CT · sagittal plane, index 252 · 556x855 px
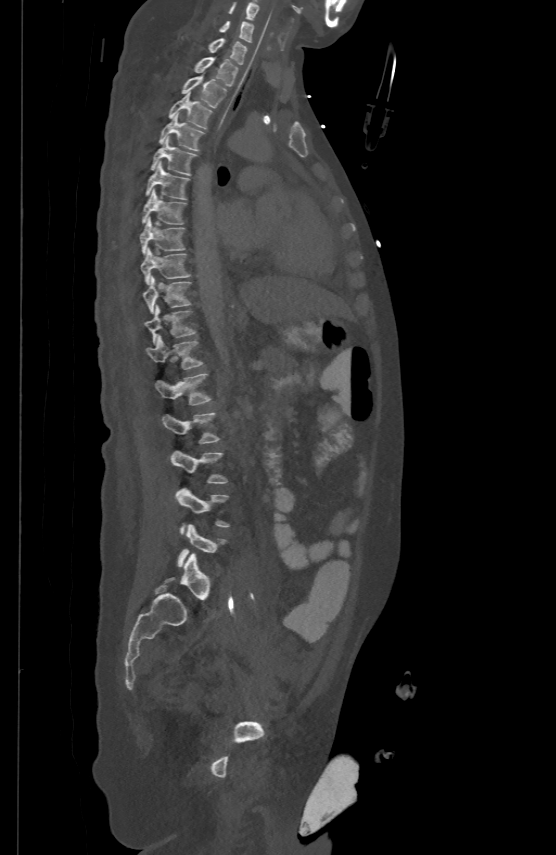

Boxes below are [x1, y1, x2, y2] in pixels.
{"vertebrae":{"L5":[178,524,226,566],"L4":[176,488,229,534],"L3":[171,451,227,483],"L2":[162,412,219,443],"L1":[154,372,211,404],"T12":[145,336,202,368],"T11":[144,304,195,343],"T10":[142,275,190,312],"T9":[141,246,190,283],"T8":[140,216,185,253],"T7":[142,187,186,223],"T6":[145,161,189,199],"T5":[151,136,195,174],"T4":[158,113,203,150],"T3":[169,92,213,128],"T2":[181,74,226,106],"T1":[194,56,238,85],"C7":[208,37,246,63],"C6":[218,20,253,41],"C5":[229,1,258,19]}}